Computed tomography of the spine — Sagittal slice 329/512 — bone window — 512x694 px
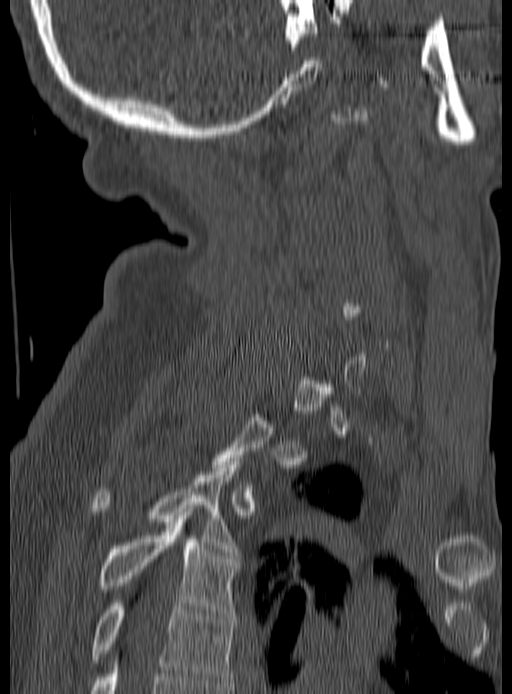
Bounding boxes as [x1, y1, x2, y2] in pixel coordinates.
A vertebra is boxed only from the first to the last slice where its cross-section is at least a third of its largest; slices outside that range leave it without a box.
T3: [92, 461, 237, 555]
T4: [98, 519, 240, 615]
T5: [92, 603, 234, 686]